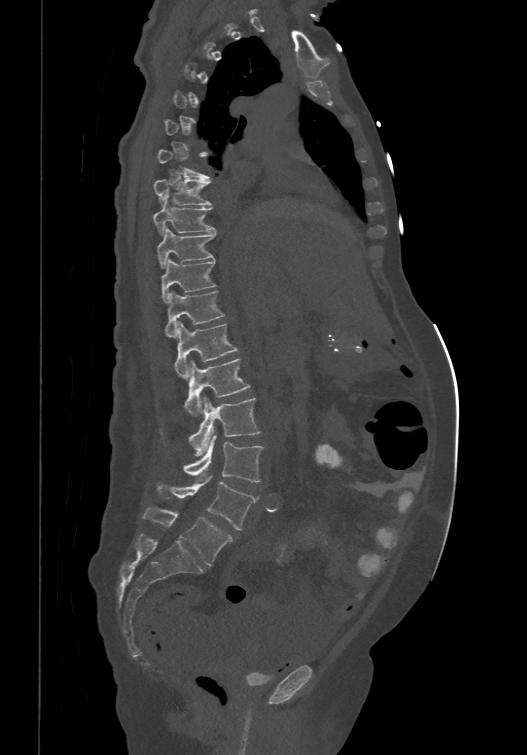

Spine computed tomography — sagittal reformat

Boxes are (x1, y1, x2, y2) in pixels. Each vertebra is boxed only on the slices from the first to the last where its cross-section reaches a third of its largest, so a slice outside that range leaves it unboxed. The labels name a sixth lumbar vertebra for this spine: L6, after L5. 12 vertebrae labeled — T7 at (156, 147, 209, 179); T8 at (153, 177, 211, 204); T9 at (153, 194, 216, 233); T10 at (156, 225, 216, 266); T11 at (161, 257, 216, 302); T12 at (165, 290, 224, 335); L1 at (175, 321, 238, 377); L2 at (183, 357, 250, 416); L3 at (189, 397, 260, 456); L4 at (183, 434, 262, 482); L5 at (156, 476, 257, 530); L6 at (143, 507, 233, 565).